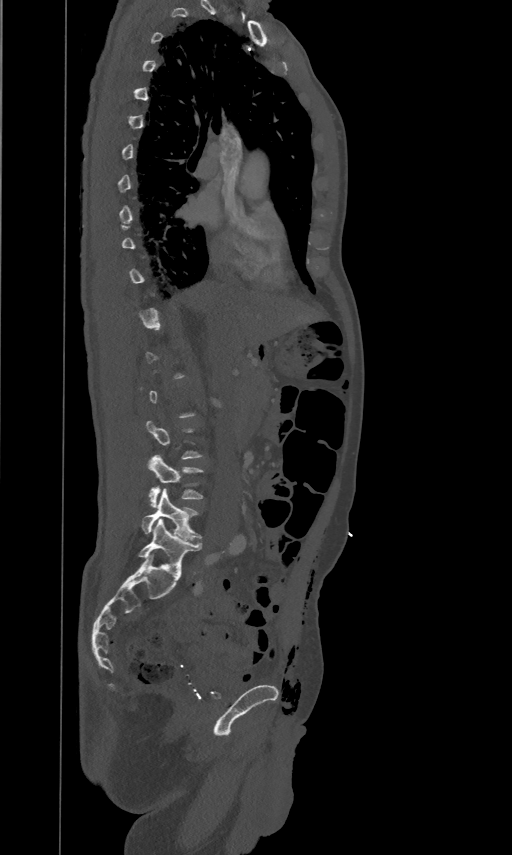 CT · sagittal view · image 461 mm wide · W/L 1800/400 HU · 512x855 px. In the table, x1 and y1 are a box's top-left corner and x2 and y2 its bottom-right corner, in pixels.
Each vertebra is boxed only on the slices from the first to the last where its cross-section reaches a third of its largest, so a slice outside that range leaves it unboxed.
| vertebra | x1 | y1 | x2 | y2 |
|---|---|---|---|---|
| L4 | 148 | 455 | 203 | 507 |
| L5 | 142 | 488 | 201 | 540 |